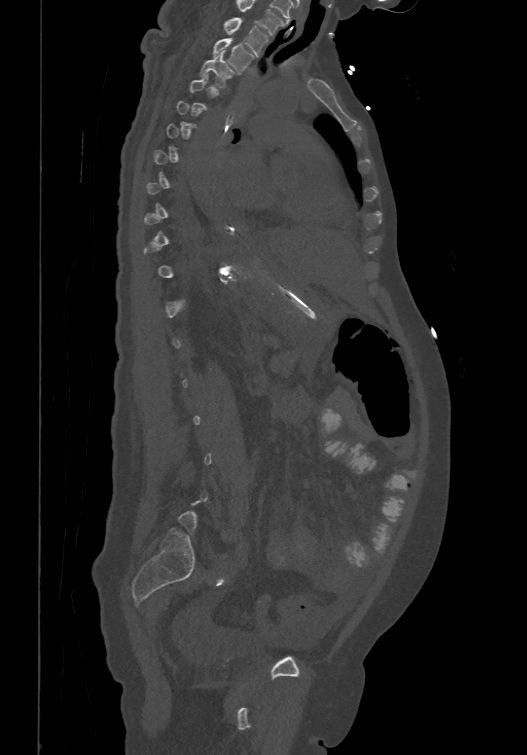
Spine computed tomography — sagittal view — bone window — 527x755 px
Box edges are left/top/right/bottom in pixels.
A vertebra gets a box only on the slices from the first to the last where its cross-section is at least a third of its largest; on a slice outside that range it gets none.
In this scan, the topmost labeled vertebra is T1 and the lowest is L6.
| vertebra | x1 | y1 | x2 | y2 |
|---|---|---|---|---|
| T1 | 223 | 17 | 267 | 54 |
| T2 | 213 | 36 | 254 | 72 |
| T3 | 200 | 50 | 233 | 86 |